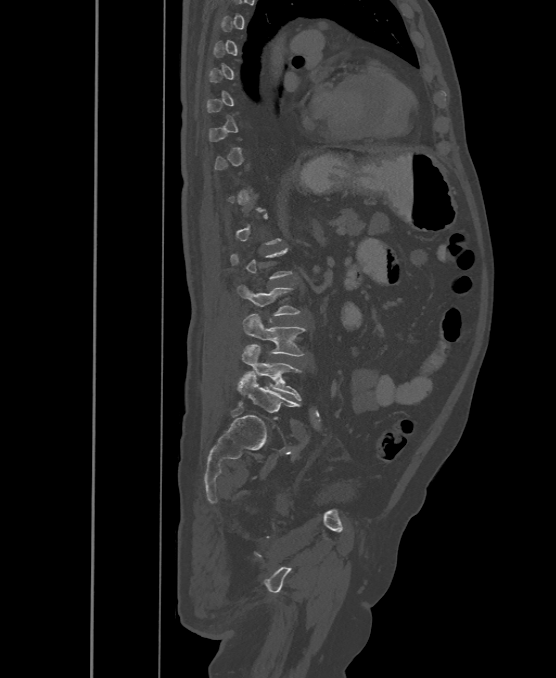

CT, spine; sagittal reformat; 556x678 px
Boxes: x1 y1 x2 y2 (pixel coords, space-separated). A vertebra gets a box only on the slices from the first to the last where its cross-section is at least a third of its largest; on a slice outside that range it gets none. The labels name a sixth lumbar vertebra for this spine: L6, after L5. 4 vertebrae labeled — L3 at 238 286 298 316; L4 at 243 314 305 356; L5 at 242 345 301 401; L6 at 238 374 298 418.